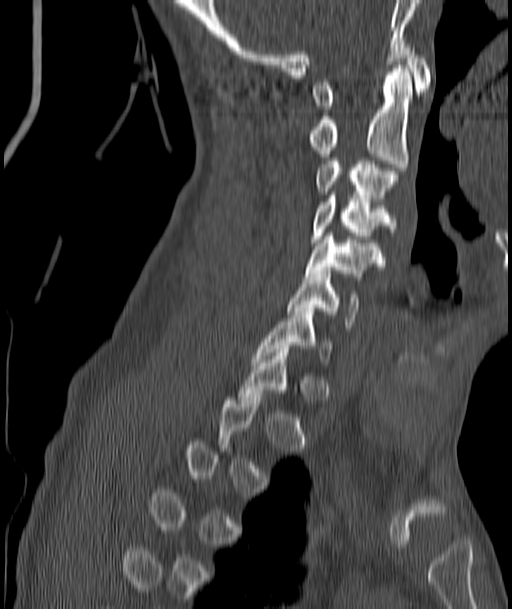 CT. sagittal view. 512x609 px
Boxes: x1:y1:x2:y2 in pixels. A vertebra is boxed only from the first to the last slice where its cross-section is at least a third of its largest; slices outside that range leave it without a box. The labeled vertebrae in this slice are: C7 at 253:308:331:362, C6 at 288:270:359:328, C5 at 305:233:378:276, C4 at 313:192:394:239, C3 at 316:161:396:204, C2 at 308:65:413:174, C1 at 313:44:430:109.